Spine CT; sagittal plane, index 49; Bone window (WL 400, WW 1800); 205x255 px; 205 mm across the image; scan covers 9 annotated vertebrae; some of the image was removed or blocked out with constant pixels
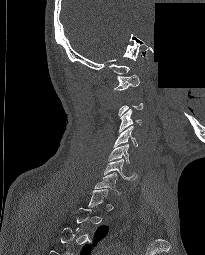
Not every vertebra on this slice has a box: a vertebra is boxed only from the first to the last slice where its cross-section is at least a third of its largest, and this slice is outside that range for at least one of them.
<vertebrae><v name="C1" x1="114" y1="74" x2="139" y2="90"/><v name="C3" x1="119" y1="108" x2="141" y2="132"/><v name="C4" x1="113" y1="125" x2="137" y2="147"/><v name="C5" x1="108" y1="144" x2="129" y2="163"/><v name="C6" x1="103" y1="159" x2="137" y2="180"/><v name="C7" x1="94" y1="172" x2="120" y2="194"/></vertebrae>